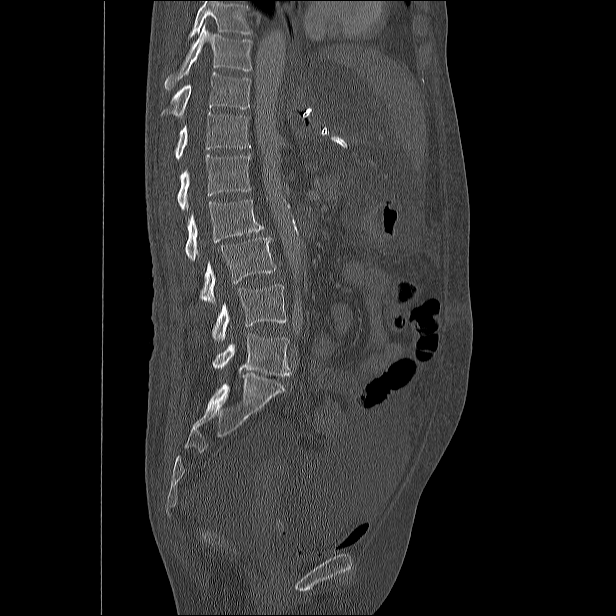
Computed tomography of the spine — sagittal view

Each vertebra maps to its box as [x1, y1, x2, y2], the pixel coordinates of its top-left and bottom-right corners.
Where the top of the scan cuts through a vertebra, that vertebra gets no label or box.
{"vertebrae":{"T10":[165,24,252,90],"T11":[161,71,251,118],"T12":[175,112,251,160],"L1":[178,155,251,210],"L2":[185,199,263,261],"L3":[200,236,276,303],"L4":[212,284,286,341],"L5":[212,334,292,376]}}